CT — sagittal view — scan covers 6 annotated vertebrae
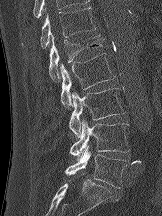
Boxes: x1 y1 x2 y2 (pixel coords, space-separated).
Vertebra bounding boxes:
- T12: 40 6 96 51
- L1: 49 33 104 81
- L2: 59 53 115 108
- L3: 69 88 125 137
- L4: 69 119 130 157
- L5: 65 145 127 188